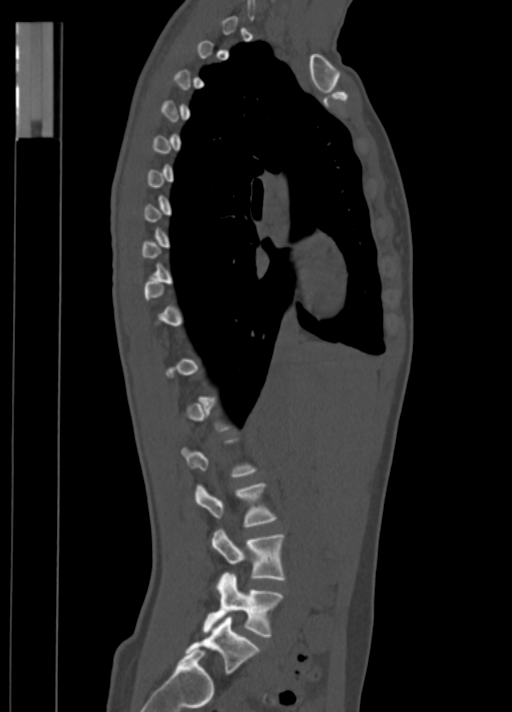 CT, spine. sagittal view. bone window. image width 350 mm. 512x712 px. Coordinates as <box>x1,y1,x2,y2</box>. A vertebra is boxed only from the first to the last slice where its cross-section is at least a third of its largest; slices outside that range leave it without a box. The labeled vertebrae in this slice are: L2 at <box>194,484,275,527</box>, L3 at <box>210,530,284,580</box>, L4 at <box>203,573,283,637</box>, L5 at <box>187,616,258,672</box>.